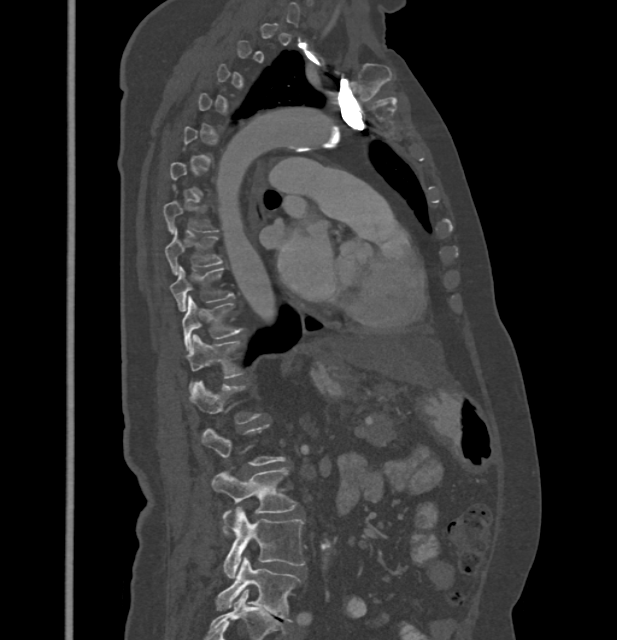 Computed tomography of the spine; sagittal reformat; image 432 mm wide; W/L 1800/400 HU; 617x640 px
Boxes: x1 y1 x2 y2 (pixel coords, space-separated).
A vertebra is boxed only from the first to the last slice where its cross-section is at least a third of its largest; slices outside that range leave it without a box.
These labels give this spine no T12: after T11 the next vertebra is L1.
Vertebra bounding boxes:
- T7: 163 200 216 232
- T8: 165 227 222 275
- T9: 170 266 233 311
- T10: 183 296 244 351
- T11: 187 335 244 388
- L1: 190 380 261 424
- L3: 211 467 296 534
- L4: 223 507 305 578
- L5: 216 557 300 622